Spine CT · sagittal plane, index 244 · 500 mm image width · bone window · 556x545 px
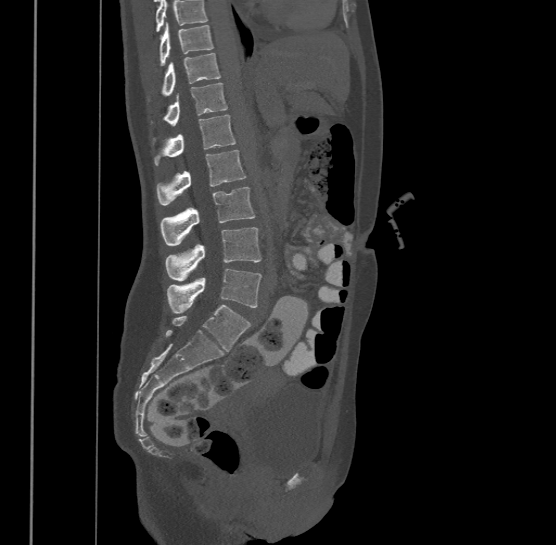 Each row gives a vertebra's box as x1, y1, x2, y2 in pixels: top-left corner, then bottom-right corner.
A vertebra cut off by the top edge of the scan is not labeled and has no box.
Labels in this scan begin with T9 at the top and end with L4 at the bottom.
| vertebra | x1 | y1 | x2 | y2 |
|---|---|---|---|---|
| L4 | 167 | 268 | 262 | 313 |
| L3 | 166 | 227 | 262 | 281 |
| L2 | 160 | 186 | 255 | 244 |
| L1 | 156 | 150 | 245 | 204 |
| T12 | 154 | 114 | 236 | 164 |
| T11 | 165 | 82 | 227 | 124 |
| T10 | 161 | 52 | 220 | 94 |
| T9 | 158 | 23 | 214 | 65 |